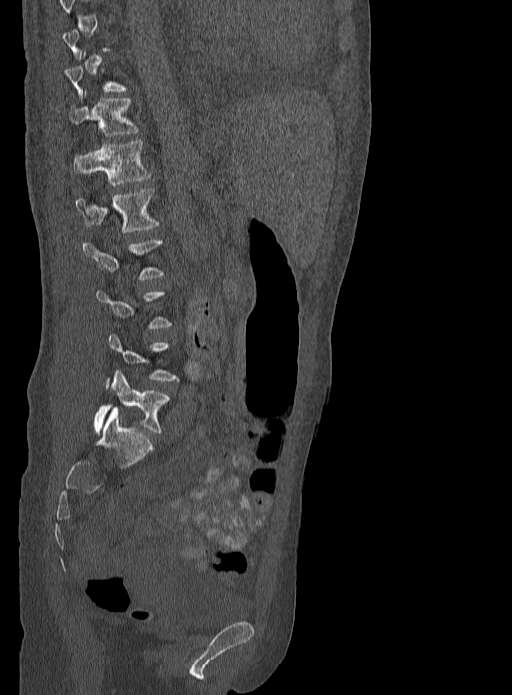 CT spine — the image spans 333 mm across — sagittal view — bone window
A vertebra gets a box only on the slices from the first to the last where its cross-section is at least a third of its largest; on a slice outside that range it gets none.
<vertebrae><v name="T11" x1="69" y1="92" x2="139" y2="136"/><v name="T12" x1="74" y1="140" x2="151" y2="185"/><v name="L1" x1="75" y1="188" x2="159" y2="233"/><v name="L5" x1="94" y1="371" x2="169" y2="433"/></vertebrae>